CT · sagittal plane, index 275 · bone window · 512x880 px · 19 vertebrae labeled in this scan
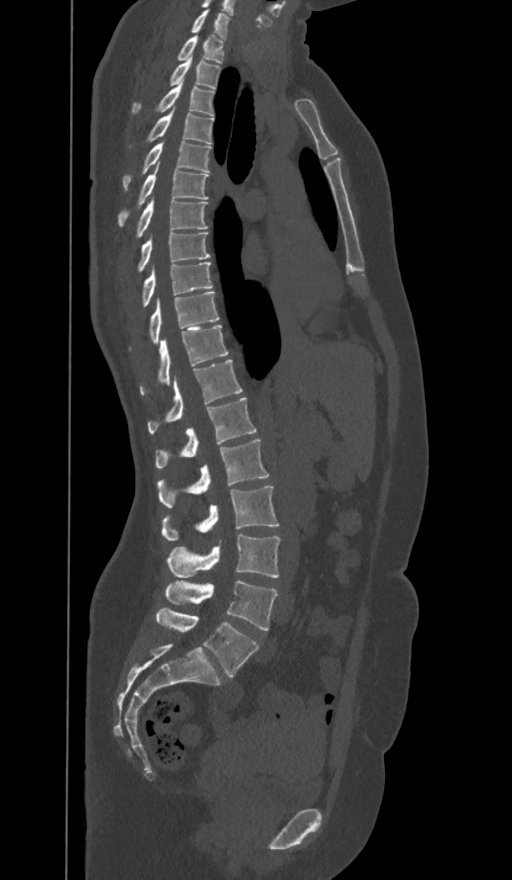

Each box given as x1,y1,x2,y2.
In these labels the spine has an L6, a sixth lumbar vertebra below L5.
C7: x1=191, y1=9, x2=229, y2=38
T1: x1=178, y1=33, x2=223, y2=63
T2: x1=171, y1=55, x2=219, y2=88
T3: x1=133, y1=80, x2=212, y2=115
T4: x1=149, y1=106, x2=212, y2=143
T5: x1=123, y1=140, x2=210, y2=188
T6: x1=119, y1=160, x2=208, y2=224
T7: x1=137, y1=196, x2=207, y2=236
T8: x1=139, y1=233, x2=210, y2=270
T9: x1=142, y1=262, x2=212, y2=306
T10: x1=150, y1=291, x2=218, y2=343
T11: x1=141, y1=325, x2=227, y2=394
T12: x1=148, y1=360, x2=241, y2=434
L1: x1=156, y1=398, x2=256, y2=468
L2: x1=157, y1=439, x2=269, y2=507
L3: x1=161, y1=485, x2=278, y2=541
L4: x1=168, y1=533, x2=279, y2=578
L5: x1=165, y1=580, x2=277, y2=630
L6: x1=156, y1=607, x2=258, y2=677